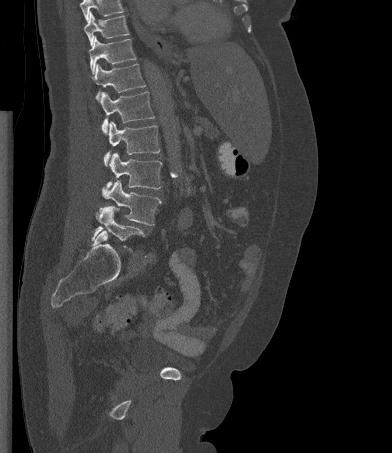
CT spine; sagittal reformat; 392x453 px

Boxes are (x1, y1, x2, y2) in pixels.
A vertebra cut off by the top edge of the scan is not labeled and has no box.
L5: (92, 206, 144, 250)
L4: (103, 180, 161, 225)
L3: (102, 152, 162, 194)
L2: (104, 121, 160, 166)
L1: (99, 91, 154, 134)
T12: (92, 63, 145, 100)
T11: (88, 36, 136, 74)
T10: (84, 11, 129, 45)